Spine computed tomography; 199 mm across the image; sagittal view; scan covers 6 annotated vertebrae
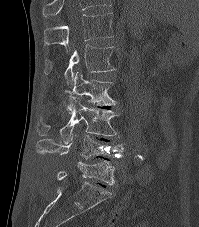 Boxes: x1:y1:x2:y2 in pixels.
In this scan, the topmost labeled vertebra is T12 and the lowest is L5.
L5: 57:160:115:184
L4: 35:135:123:159
L3: 37:96:119:142
L2: 63:71:116:112
L1: 44:45:117:84
T12: 43:13:114:51